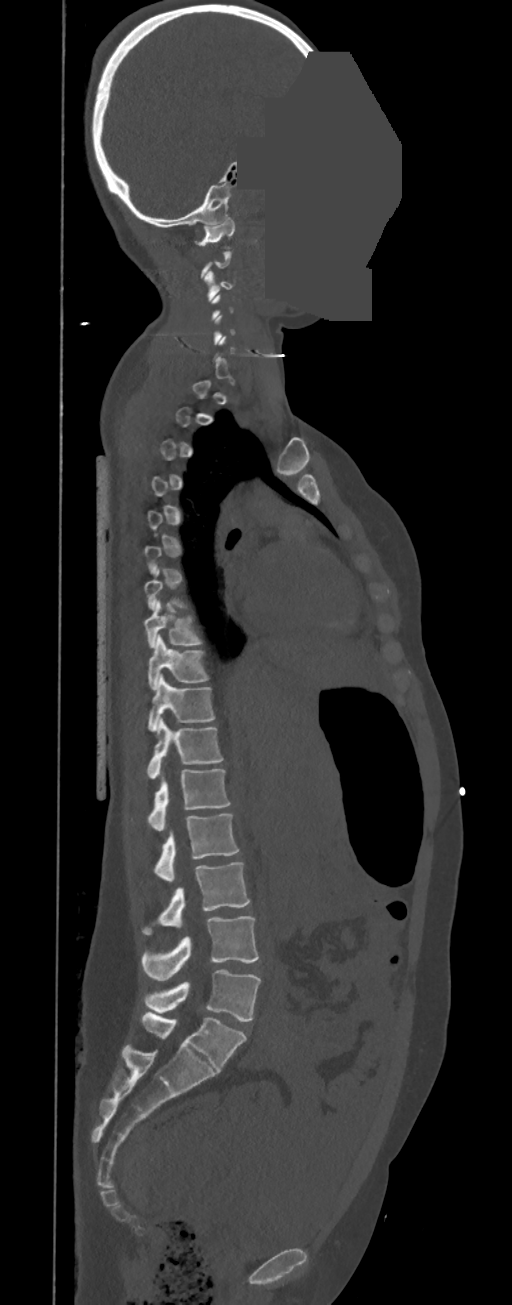
Spine computed tomography — 350 mm wide — sagittal reformat — W/L 1800/400 HU — 512x1305 px — part of the image has been replaced by a constant value. Boxes: x1:y1:x2:y2 in pixels.
A vertebra gets a box only on the slices from the first to the last where its cross-section is at least a third of its largest; on a slice outside that range it gets none.
In these labels the spine has no T12: the thoracic vertebrae end at T11, and L1 comes next.
Vertebra bounding boxes:
- L5: 143:970:261:1022
- L4: 142:916:259:981
- L3: 142:862:250:935
- L2: 153:814:239:881
- L1: 148:769:231:831
- T11: 146:718:223:778
- T10: 148:674:215:731
- T9: 148:635:209:690
- T8: 145:599:204:648
- C3: 204:270:234:300
- C1: 194:217:234:248